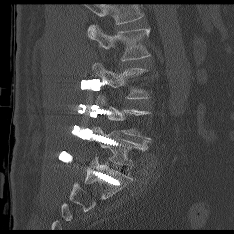
CT. sagittal view. 234x234 px
Each vertebra is boxed only on the slices from the first to the last where its cross-section reaches a third of its largest, so a slice outside that range leaves it unboxed.
Where the top of the scan cuts through a vertebra, that vertebra gets no label or box.
<vertebrae><v name="L5" x1="91" y1="127" x2="150" y2="167"/><v name="L3" x1="92" y1="63" x2="147" y2="98"/><v name="L2" x1="88" y1="24" x2="149" y2="60"/></vertebrae>